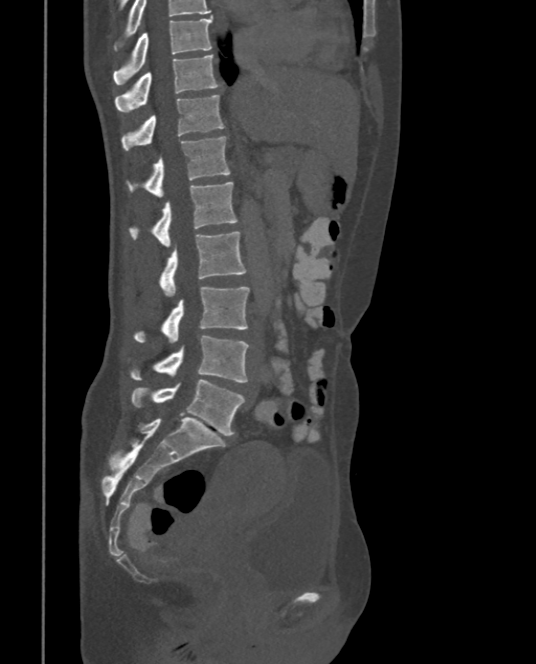 CT. sagittal view. bone-window reconstruction. image width 375 mm
Each box is [x1, y1, x2, y2] in pixels: top-left corner, then bottom-right corner.
In this scan, the topmost labeled vertebra is T9 and the lowest is L5.
{"vertebrae":{"T9":[113,16,211,85],"T10":[114,54,220,112],"T11":[121,94,225,150],"T12":[127,136,230,197],"L1":[130,181,238,246],"L2":[160,231,247,296],"L3":[134,287,249,343],"L4":[131,336,250,382],"L5":[131,378,245,435]}}